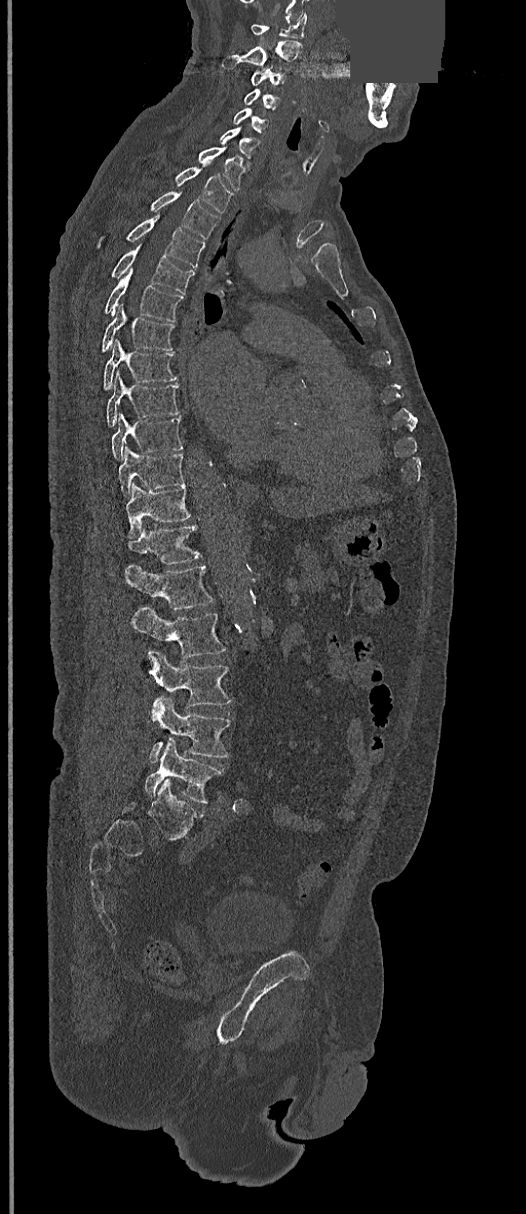
CT spine — sagittal view — bone window — a uniform gray block covers part of the image. Boxes are (x1, y1, x2, y2) in pixels.
L5: (144, 739, 223, 803)
L4: (148, 697, 230, 763)
L3: (147, 650, 230, 714)
L2: (131, 607, 226, 660)
L1: (124, 566, 213, 610)
T12: (127, 524, 201, 565)
T11: (125, 484, 190, 538)
T10: (118, 446, 183, 495)
T9: (111, 413, 182, 459)
T8: (106, 371, 179, 426)
T7: (103, 339, 178, 389)
T6: (102, 304, 175, 352)
T5: (104, 269, 183, 322)
T4: (111, 244, 194, 293)
T3: (97, 216, 204, 268)
T2: (150, 191, 219, 239)
T1: (175, 167, 231, 213)
C7: (198, 147, 243, 190)
C6: (220, 127, 259, 158)
C5: (233, 107, 269, 133)
C4: (244, 89, 280, 110)
C3: (252, 69, 285, 88)
C2: (224, 40, 302, 68)
C1: (252, 13, 306, 38)